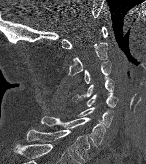
Computed tomography of the spine — sagittal reformat — 146x164 px

Boxes: x1 y1 x2 y2 (pixel coords, space-separated). Vertebrae labeled: C1 at 61 26 107 49, C2 at 68 27 107 74, C3 at 84 62 110 83, C4 at 80 76 113 97, C5 at 86 94 118 107, C6 at 79 107 112 127, C7 at 41 116 105 146, T1 at 26 128 90 162.